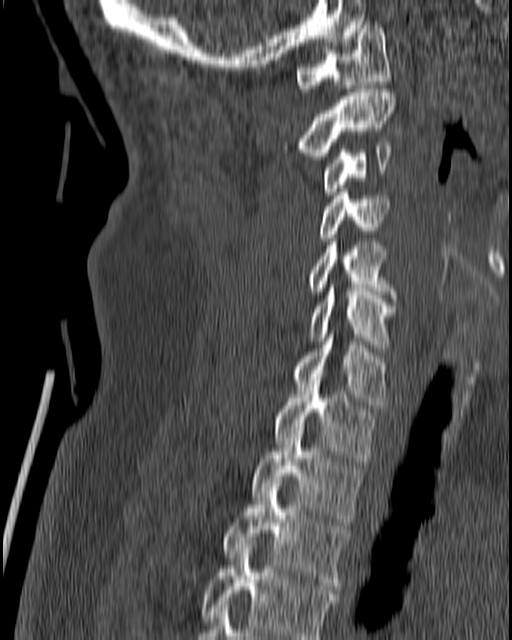
CT spine · the image spans 180 mm across · sagittal view · bone window · 512x640 px

Each box is [x1, y1, x2, y2] in pixels: top-left corner, then bottom-right corner.
{"vertebrae":{"C1":[295,21,390,91],"C2":[281,89,396,159],"C3":[322,142,392,195],"C4":[319,188,390,241],"C5":[308,242,395,301],"C6":[308,284,395,347],"C7":[291,334,387,408],"T1":[274,384,375,461],"T2":[251,427,361,525],"T3":[223,480,350,589],"T4":[201,544,339,639]}}